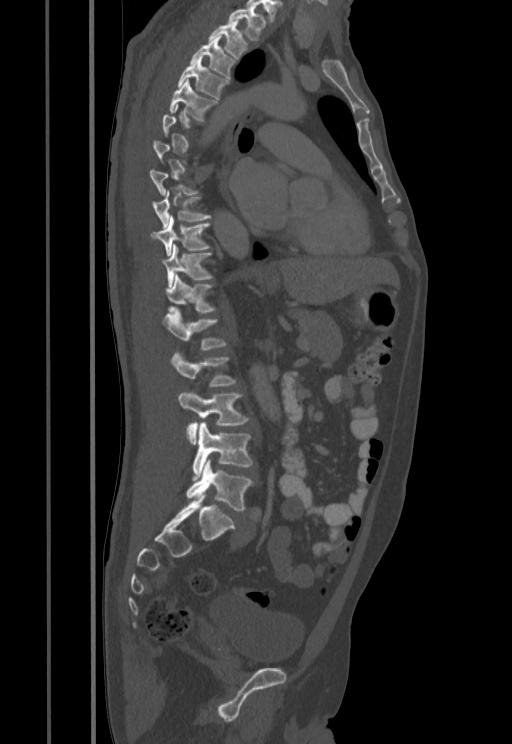
CT, spine; sagittal reformat; W/L 1800/400 HU; 512x744 px
Each row gives a vertebra's box as x1, y1, x2, y2 in pixels: top-left corner, then bottom-right corner.
A vertebra is boxed only from the first to the last slice where its cross-section is at least a third of its largest; slices outside that range leave it without a box.
| vertebra | x1 | y1 | x2 | y2 |
|---|---|---|---|---|
| T1 | 227 | 8 | 265 | 41 |
| T2 | 208 | 21 | 248 | 59 |
| T3 | 190 | 35 | 236 | 79 |
| T4 | 178 | 60 | 230 | 99 |
| T5 | 169 | 80 | 218 | 120 |
| T9 | 153 | 190 | 212 | 228 |
| T10 | 152 | 217 | 210 | 256 |
| T11 | 162 | 245 | 214 | 287 |
| T12 | 166 | 274 | 217 | 313 |
| L1 | 163 | 308 | 227 | 349 |
| L2 | 170 | 350 | 236 | 386 |
| L3 | 179 | 390 | 249 | 443 |
| L4 | 192 | 422 | 253 | 479 |
| L5 | 186 | 460 | 254 | 510 |